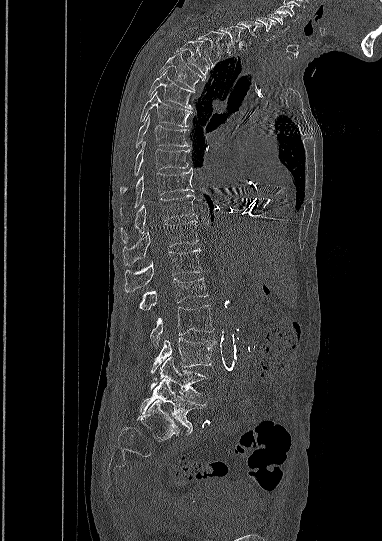
CT · sagittal reformat · bone-window reconstruction · 382x541 px · image 382 mm wide
Box edges are left/top/right/bottom in pixels. In this scan, the topmost labeled vertebra is C5 and the lowest is L5. Vertebrae labeled: L5 at left=140, top=378, right=206, bottom=431, L4 at left=149, top=356, right=205, bottom=400, L3 at left=151, top=338, right=214, bottom=372, L2 at left=150, top=305, right=213, bottom=347, L1 at left=140, top=278, right=207, bottom=310, T12 at left=124, top=248, right=201, bottom=292, T11 at left=123, top=220, right=198, bottom=265, T10 at left=121, top=195, right=194, bottom=242, T9 at left=121, top=168, right=193, bottom=213, T8 at left=120, top=141, right=189, bottom=192, T7 at left=136, top=115, right=189, bottom=147, T6 at left=141, top=91, right=192, bottom=126, T5 at left=149, top=71, right=194, bottom=109, T4 at left=160, top=55, right=203, bottom=89, T3 at left=174, top=42, right=209, bottom=78, T2 at left=195, top=31, right=221, bottom=67, T1 at left=217, top=25, right=245, bottom=55, C7 at left=238, top=22, right=262, bottom=43, C6 at left=256, top=17, right=276, bottom=40, C5 at left=267, top=12, right=289, bottom=32.